Spine computed tomography · Sagittal slice 249/512 · W/L 1800/400 HU · 812x1497 px · a region is masked with a constant gray value
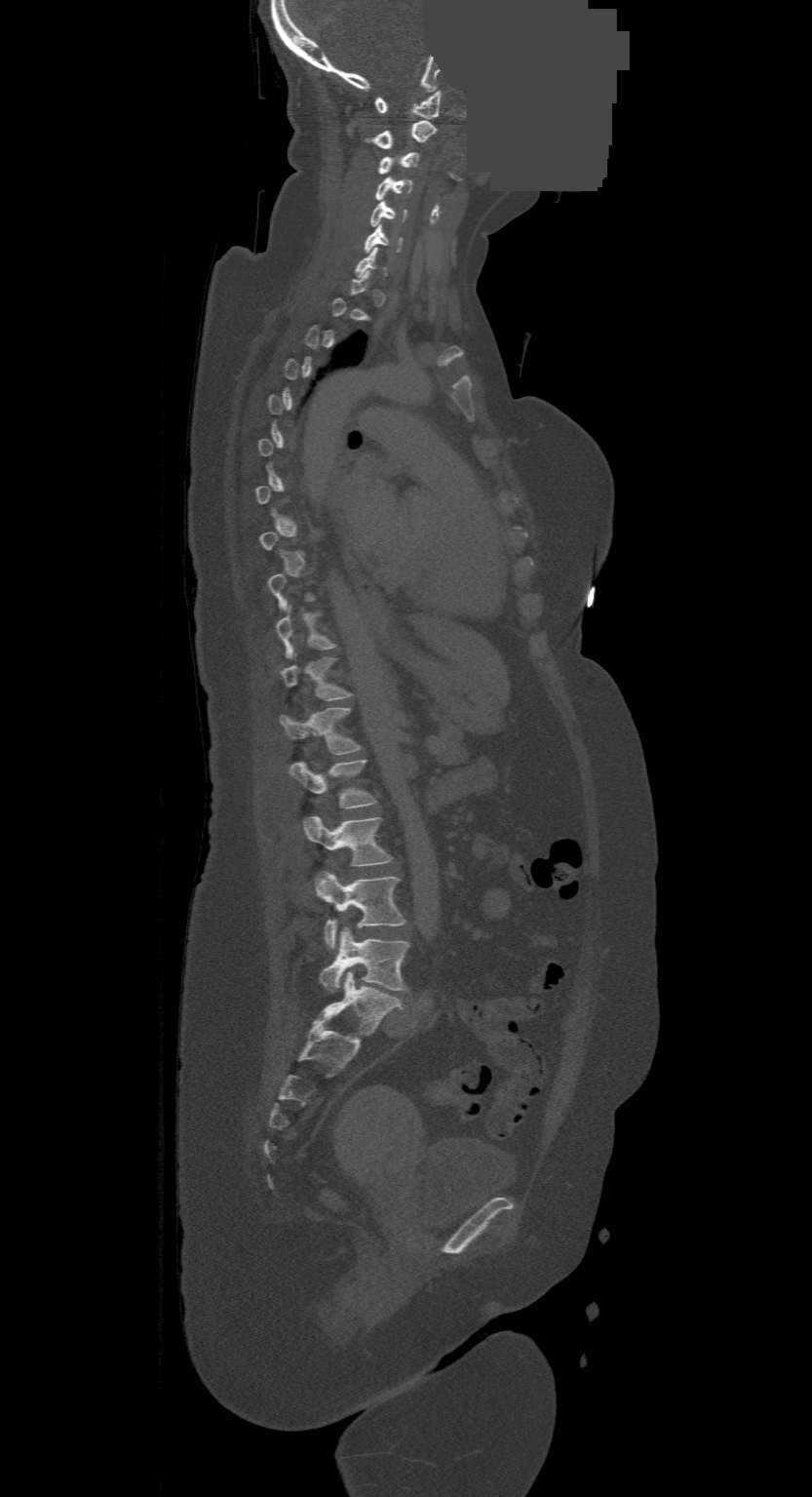 Boxes: x1 y1 x2 y2 (pixel coords, space-separated). Not every vertebra on this slice has a box: a vertebra is boxed only from the first to the last slice where its cross-section is at least a third of its largest, and this slice is outside that range for at least one of them. The highest labeled vertebra in this scan is C1; the lowest is L4. The labeled vertebrae in this slice are: C1 at 376 90 442 118, C2 at 367 121 436 149, C3 at 379 151 419 174, C4 at 376 177 413 199, C5 at 369 200 406 227, C6 at 364 224 402 253, T10 at 276 605 335 657, T11 at 281 657 350 700, T12 at 279 707 359 754, L1 at 289 760 376 808, L2 at 301 816 391 866, L3 at 316 872 406 949, L4 at 321 926 408 993.